Computed tomography of the spine · sagittal plane, index 238 · scan covers 8 annotated vertebrae
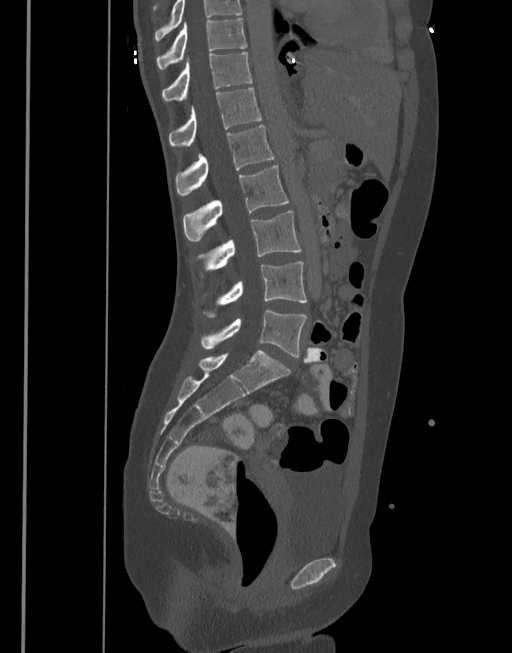
Columns x1, y1, x2, y2 give each box's top-left and bottom-right pixels.
The highest labeled vertebra in this scan is T10; the lowest is L5.
| vertebra | x1 | y1 | x2 | y2 |
|---|---|---|---|---|
| T10 | 156 | 18 | 246 | 69 |
| T11 | 161 | 53 | 251 | 102 |
| T12 | 168 | 88 | 261 | 146 |
| L1 | 175 | 125 | 275 | 196 |
| L2 | 183 | 165 | 288 | 242 |
| L3 | 197 | 210 | 301 | 272 |
| L4 | 204 | 262 | 307 | 317 |
| L5 | 201 | 309 | 307 | 357 |